CT, spine — sagittal view — 512x681 px — 8 vertebrae labeled in this scan
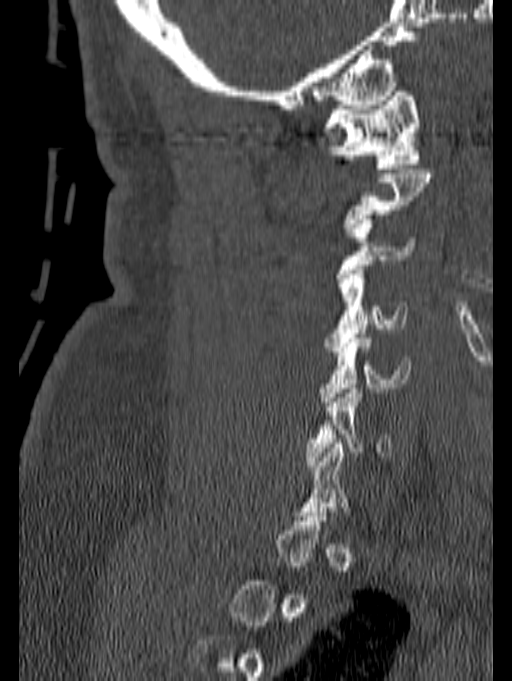
Each box given as x1,y1,x2,y2.
Not every vertebra on this slice has a box: a vertebra is boxed only from the first to the last slice where its cross-section is at least a third of its largest, and this slice is outside that range for at least one of them.
Vertebra bounding boxes:
- C6: x1=305, y1=384, x2=391, y2=470
- C5: x1=317, y1=334, x2=410, y2=406
- C4: x1=324, y1=270, x2=407, y2=351
- C3: x1=335, y1=219, x2=416, y2=282
- C1: x1=323, y1=91, x2=420, y2=168